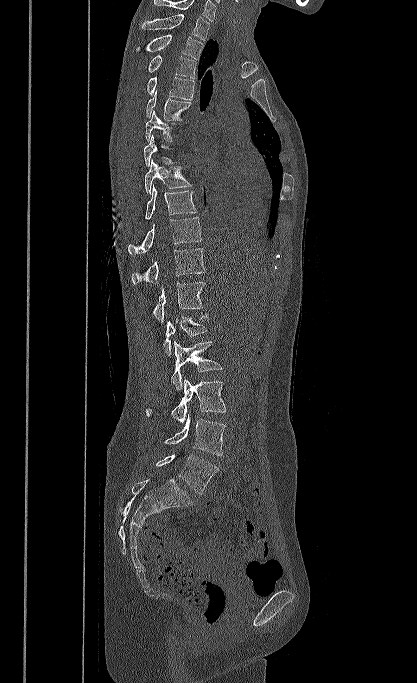 CT · sagittal view

Box values are [left, top, right, bottom] in pixels.
Labels in this scan begin with T1 at the top and end with L5 at the bottom.
{"vertebrae":{"T1":[142,14,209,40],"T2":[136,34,204,59],"T3":[148,55,196,78],"T4":[146,77,194,100],"T5":[146,90,191,120],"T6":[145,111,180,141],"T7":[144,134,175,167],"T8":[145,159,192,194],"T9":[145,185,197,220],"T10":[128,217,201,253],"T11":[131,248,205,284],"T12":[153,282,205,322],"L1":[163,314,208,356],"L2":[171,340,222,390],"L3":[145,378,226,424],"L4":[164,414,226,455],"L5":[155,454,218,494]}}